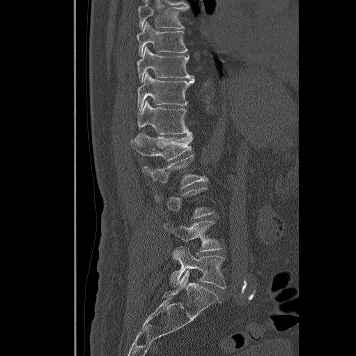
CT spine — sagittal view
Each box given as x1,y1,x2,y2.
Not every vertebra on this slice has a box: a vertebra is boxed only from the first to the last slice where its cross-section is at least a third of its largest, and this slice is outside that range for at least one of them.
T8: x1=138, y1=2, x2=188, y2=30
T9: x1=136, y1=22, x2=188, y2=56
T10: x1=137, y1=46, x2=195, y2=83
T11: x1=137, y1=71, x2=195, y2=110
T12: x1=138, y1=101, x2=188, y2=134
L1: x1=131, y1=131, x2=192, y2=160
L2: x1=143, y1=155, x2=207, y2=188
L4: x1=164, y1=221, x2=222, y2=251
L5: x1=170, y1=246, x2=225, y2=288